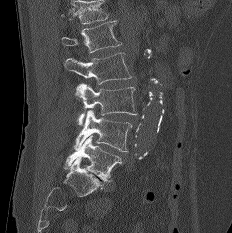
Computed tomography of the spine. sagittal view. 232 mm wide
Each box is [x1, y1, x2, y2] in pixels: top-left corner, then bottom-right corner.
A vertebra cut off by the top edge of the scan is not labeled and has no box.
{"vertebrae":{"L1":[61,20,121,52],"L2":[64,52,131,84],"L3":[75,83,136,125],"L4":[74,109,133,151],"L5":[64,135,122,181]}}